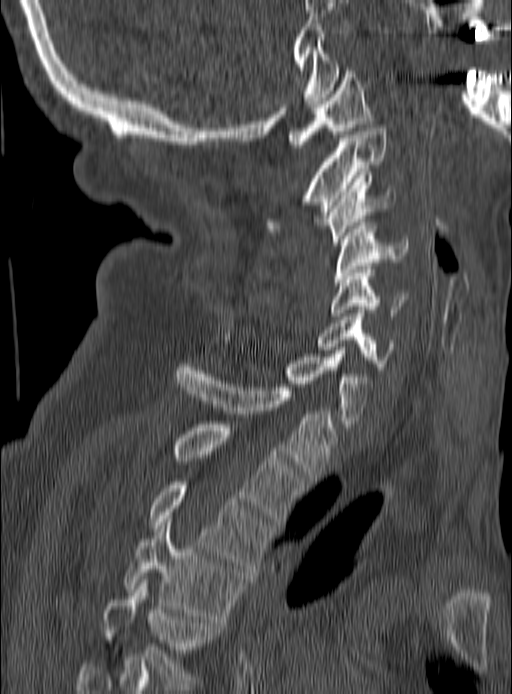
Computed tomography of the spine — sagittal view — 512x694 px
Boxes are given in columns x1, y1, x2, y2, the pixel coordinates of their top-left and bottom-right corners.
| vertebra | x1 | y1 | x2 | y2 |
|---|---|---|---|---|
| C1 | 287 | 64 | 372 | 147 |
| C2 | 267 | 128 | 385 | 231 |
| C3 | 322 | 175 | 395 | 245 |
| C4 | 335 | 222 | 406 | 285 |
| C5 | 330 | 269 | 408 | 316 |
| C6 | 319 | 310 | 394 | 370 |
| C7 | 223 | 337 | 374 | 423 |
| T1 | 175 | 364 | 337 | 481 |
| T2 | 173 | 424 | 304 | 524 |
| T3 | 149 | 482 | 272 | 572 |
| T4 | 125 | 519 | 248 | 622 |
| T5 | 103 | 579 | 221 | 686 |